CT; Sagittal slice 313/619
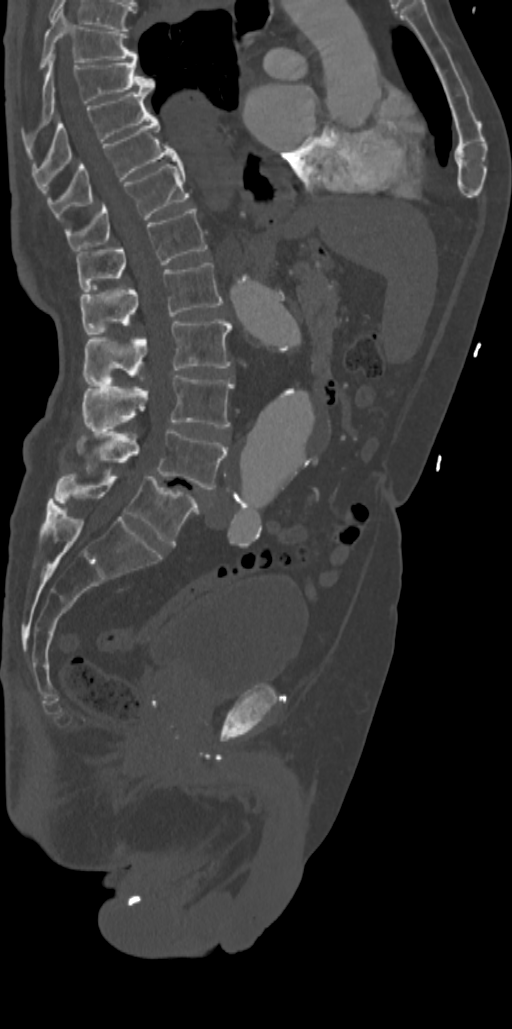 Columns x1, y1, x2, y2 give each box's top-left and bottom-right pixels.
| vertebra | x1 | y1 | x2 | y2 |
|---|---|---|---|---|
| T7 | 39 | 9 | 137 | 69 |
| T8 | 22 | 56 | 154 | 138 |
| T9 | 31 | 90 | 150 | 174 |
| T10 | 48 | 115 | 179 | 219 |
| T11 | 66 | 162 | 189 | 251 |
| T12 | 76 | 207 | 207 | 291 |
| L1 | 81 | 263 | 222 | 334 |
| L2 | 84 | 319 | 231 | 383 |
| L3 | 84 | 375 | 234 | 430 |
| L4 | 78 | 427 | 226 | 489 |
| L5 | 51 | 474 | 198 | 545 |